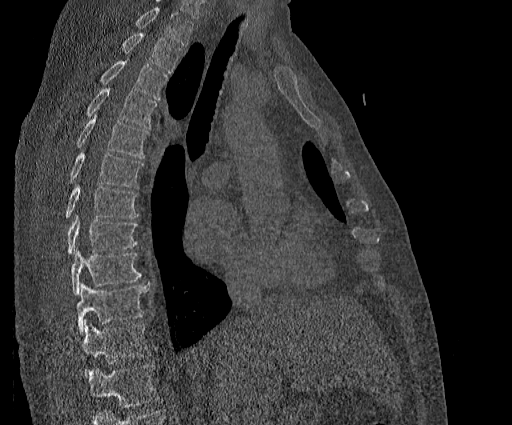 Computed tomography of the spine. sagittal view. bone window

A vertebra cut off by the top edge of the scan is not labeled and has no box.
Labels in this scan begin with T2 at the top and end with T11 at the bottom.
<vertebrae><v name="T2" x1="121" y1="33" x2="181" y2="74"/><v name="T3" x1="100" y1="60" x2="168" y2="99"/><v name="T4" x1="85" y1="88" x2="156" y2="128"/><v name="T5" x1="76" y1="115" x2="148" y2="158"/><v name="T6" x1="69" y1="152" x2="143" y2="187"/><v name="T7" x1="65" y1="184" x2="139" y2="218"/><v name="T8" x1="66" y1="215" x2="138" y2="254"/><v name="T9" x1="70" y1="247" x2="141" y2="294"/><v name="T10" x1="77" y1="283" x2="149" y2="334"/><v name="T11" x1="69" y1="321" x2="151" y2="375"/></vertebrae>